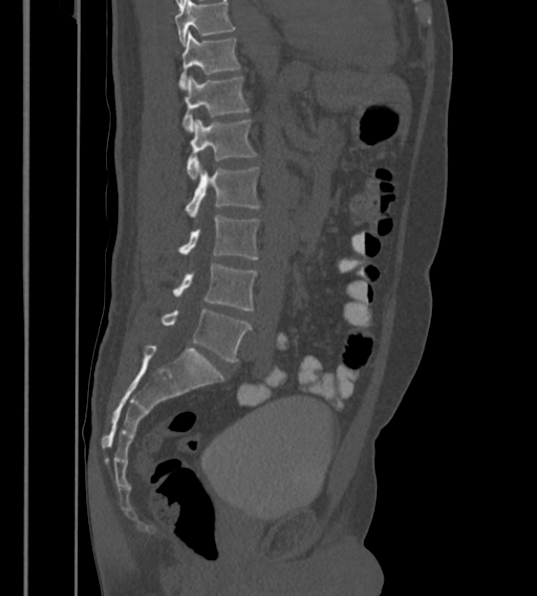
Spine CT — sagittal view. Each box given as x1,y1,x2,y2. Labels in this scan begin with T12 at the top and end with L6 at the bottom. The labels name a sixth lumbar vertebra for this spine: L6, after L5. 7 vertebrae labeled — T12 at x1=178, y1=31, x2=240, y2=86; L1 at x1=182, y1=76, x2=249, y2=130; L2 at x1=186, y1=119, x2=256, y2=180; L3 at x1=186, y1=164, x2=259, y2=219; L4 at x1=180, y1=215, x2=259, y2=259; L5 at x1=174, y1=264, x2=256, y2=310; L6 at x1=160, y1=309, x2=252, y2=361.